CT, spine; sagittal reformat; 386 mm image width; bone-window reconstruction; 512x842 px
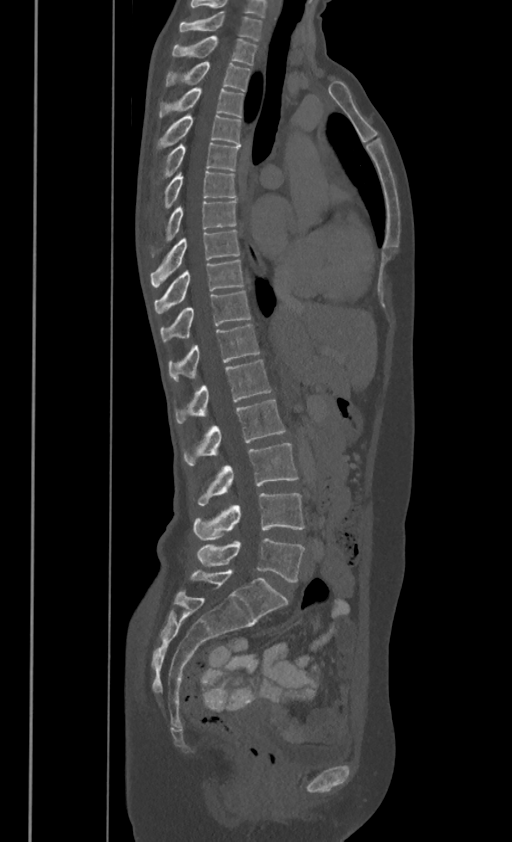
In the table, x1 and y1 are a box's top-left corner and x2 and y2 its bottom-right corner, in pixels.
In these labels the spine has no T12: the thoracic vertebrae end at T11, and L1 comes next.
| vertebra | x1 | y1 | x2 | y2 |
|---|---|---|---|---|
| C7 | 179 | 11 | 261 | 38 |
| T1 | 172 | 35 | 256 | 63 |
| T2 | 166 | 61 | 250 | 90 |
| T3 | 159 | 86 | 243 | 115 |
| T4 | 158 | 113 | 240 | 146 |
| T5 | 164 | 142 | 239 | 174 |
| T6 | 164 | 170 | 235 | 207 |
| T7 | 166 | 199 | 236 | 239 |
| T8 | 151 | 229 | 239 | 286 |
| T9 | 155 | 258 | 243 | 312 |
| T10 | 160 | 290 | 251 | 340 |
| T11 | 168 | 324 | 259 | 380 |
| L1 | 175 | 359 | 271 | 423 |
| L2 | 183 | 398 | 284 | 466 |
| L3 | 196 | 443 | 297 | 505 |
| L4 | 193 | 493 | 304 | 540 |
| L5 | 197 | 538 | 304 | 582 |